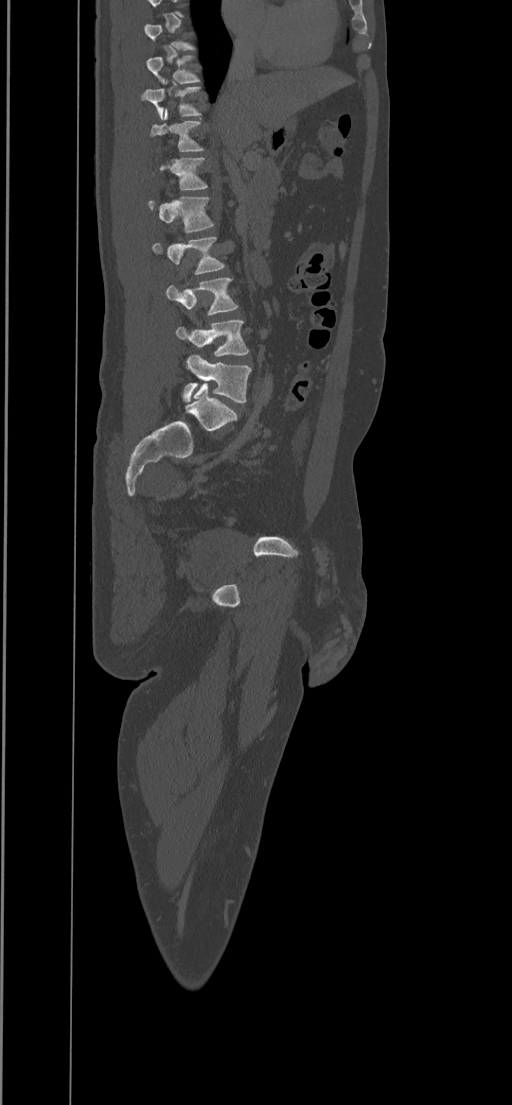 CT, spine — sagittal reformat
Each row gives a vertebra's box as x1, y1, x2, y2 in pixels: top-left corner, then bottom-right corner.
A vertebra gets a box only on the slices from the first to the last where its cross-section is at least a third of its largest; on a slice outside that range it gets none.
| vertebra | x1 | y1 | x2 | y2 |
|---|---|---|---|---|
| T9 | 146 | 55 | 200 | 83 |
| T10 | 140 | 80 | 200 | 119 |
| T11 | 150 | 109 | 203 | 151 |
| T12 | 159 | 158 | 207 | 190 |
| L1 | 148 | 196 | 214 | 233 |
| L2 | 152 | 237 | 224 | 274 |
| L3 | 166 | 277 | 237 | 315 |
| L4 | 176 | 320 | 248 | 356 |
| L5 | 182 | 355 | 251 | 402 |